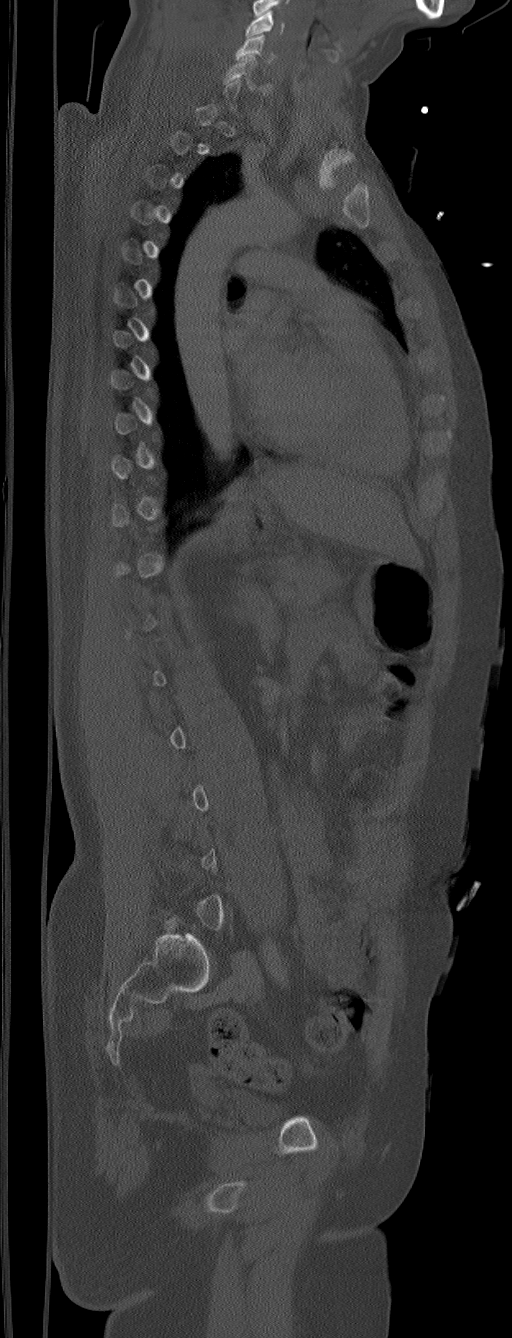
Spine computed tomography; sagittal reformat; Bone window (WL 400, WW 1800); 512x1338 px; image 305 mm wide
Boxes: x1:y1:x2:y2 in pixels. A vertebra is boxed only from the first to the last slice where its cross-section is at least a third of its largest; slices outside that range leave it without a box. The highest labeled vertebra in this scan is C5; the lowest is L6. 2 vertebrae labeled — C5 at 235:34:276:63; C6 at 223:55:256:88.